Computed tomography of the spine — sagittal reformat — the image is 336 mm wide
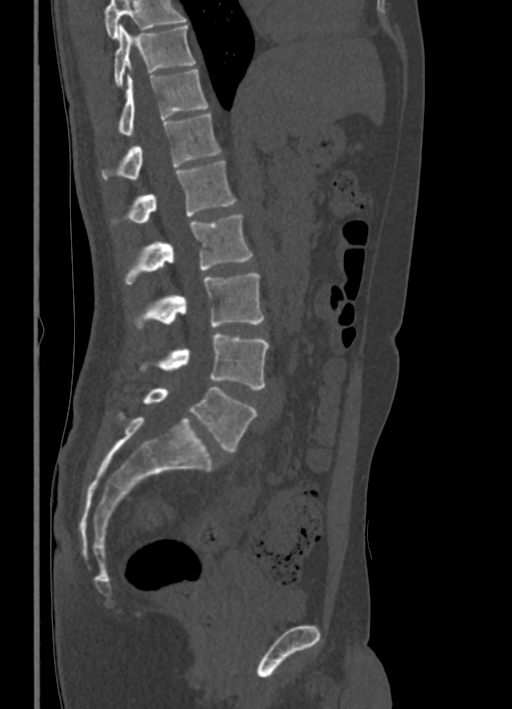
Each box given as x1,y1,x2,y2.
No box is given to a vertebra that the top edge of the scan cuts off.
L5: x1=143, y1=387, x2=256, y2=451
L4: x1=142, y1=334, x2=269, y2=389
L3: x1=138, y1=273, x2=264, y2=327
L2: x1=125, y1=215, x2=252, y2=284
L1: x1=128, y1=160, x2=235, y2=223
T12: x1=102, y1=112, x2=220, y2=178
T11: x1=119, y1=68, x2=208, y2=134
T10: x1=114, y1=24, x2=195, y2=86